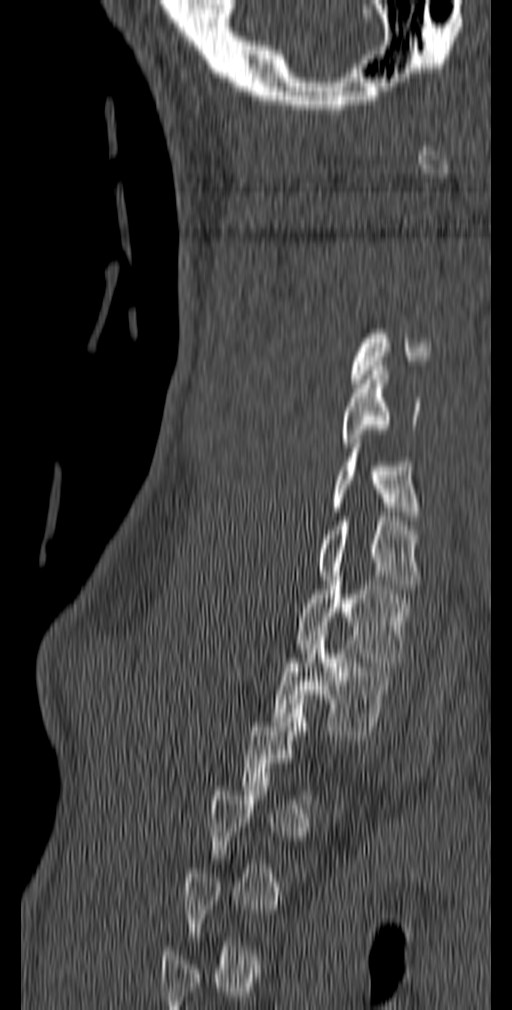

CT, spine; sagittal view; 512x1010 px. Boxes: x1:y1:x2:y2 in pixels. A vertebra gets a box only on the slices from the first to the last where its cross-section is at least a third of its largest; on a slice outside that range it gets none. Vertebrae labeled: C4 at 351:329:431:383, C5 at 341:366:421:447, C6 at 330:439:420:525, C7 at 316:521:421:589, T1 at 295:576:409:666, T2 at 271:631:396:735.